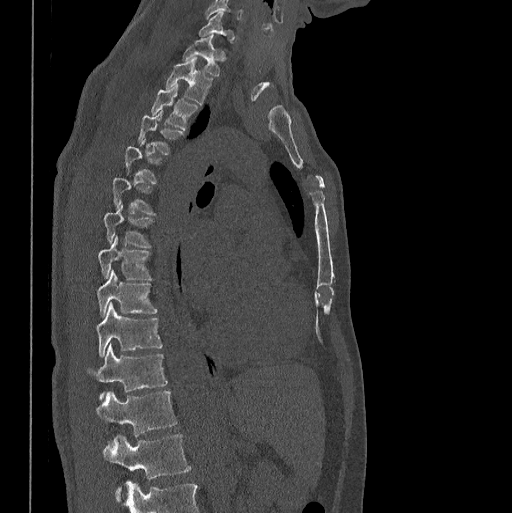
Computed tomography of the spine; sagittal view; 512x513 px

Not every vertebra on this slice has a box: a vertebra is boxed only from the first to the last slice where its cross-section is at least a third of its largest, and this slice is outside that range for at least one of them.
<vertebrae><v name="C7" x1="199" y1="10" x2="234" y2="41"/><v name="T1" x1="183" y1="35" x2="224" y2="75"/><v name="T2" x1="166" y1="58" x2="213" y2="104"/><v name="T3" x1="152" y1="85" x2="197" y2="130"/><v name="T4" x1="139" y1="110" x2="182" y2="154"/><v name="T7" x1="104" y1="204" x2="152" y2="247"/><v name="T8" x1="98" y1="235" x2="151" y2="279"/><v name="T9" x1="98" y1="270" x2="157" y2="316"/><v name="T10" x1="95" y1="302" x2="162" y2="357"/><v name="T11" x1="87" y1="344" x2="167" y2="398"/><v name="T12" x1="96" y1="390" x2="176" y2="435"/><v name="L1" x1="103" y1="434" x2="191" y2="500"/></vertebrae>